Computed tomography of the spine. sagittal plane, index 171. 281x245 px. 9 vertebrae labeled in this scan. an area of the scan was removed and filled with constant pixels
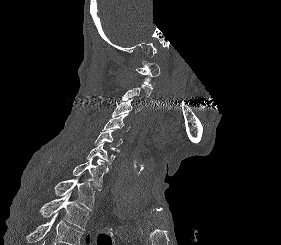
Each box is [x1, y1, x2, y2] in pixels: top-left corner, then bottom-right corner.
A vertebra gets a box only on the slices from the first to the last where its cross-section is at least a third of its largest; on a slice outside that range it gets none.
A vertebra cut off by the bottom edge of the scan is not labeled and has no box.
{"vertebrae":{"C1":[135,61,160,86],"C3":[112,98,141,117],"C4":[102,113,130,131],"C5":[94,130,122,149],"C6":[87,143,119,164],"C7":[50,157,108,190],"T1":[54,177,95,210],"T2":[39,192,88,229]}}